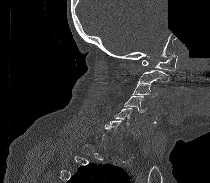

CT, spine; sagittal view; bone-window reconstruction; some of the image was removed or blocked out with constant pixels
Not every vertebra on this slice has a box: a vertebra is boxed only from the first to the last slice where its cross-section is at least a third of its largest, and this slice is outside that range for at least one of them.
<vertebrae><v name="C6" x1="104" y1="120" x2="121" y2="132"/><v name="C5" x1="114" y1="108" x2="132" y2="125"/><v name="C4" x1="124" y1="96" x2="146" y2="112"/><v name="C3" x1="131" y1="82" x2="158" y2="97"/><v name="C2" x1="139" y1="70" x2="169" y2="82"/><v name="C1" x1="142" y1="55" x2="177" y2="71"/></vertebrae>